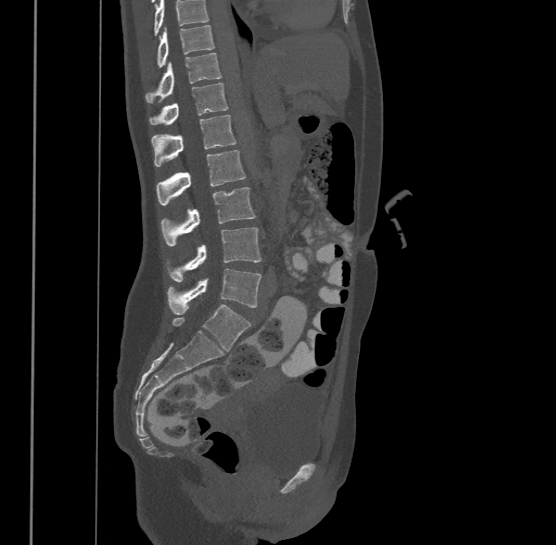 CT, spine — sagittal view — 500 mm image width — Bone window (WL 400, WW 1800)

Boxes below are [x1, y1, x2, y2] in pixels.
Vertebrae that run past the top of the scan are left unlabeled.
Labels in this scan begin with T9 at the top and end with L4 at the bottom.
{"vertebrae":{"T9":[156,24,215,66],"T10":[145,52,221,102],"T11":[149,82,228,123],"T12":[151,114,236,165],"L1":[156,150,245,204],"L2":[161,186,256,244],"L3":[167,227,262,281],"L4":[167,268,262,314]}}